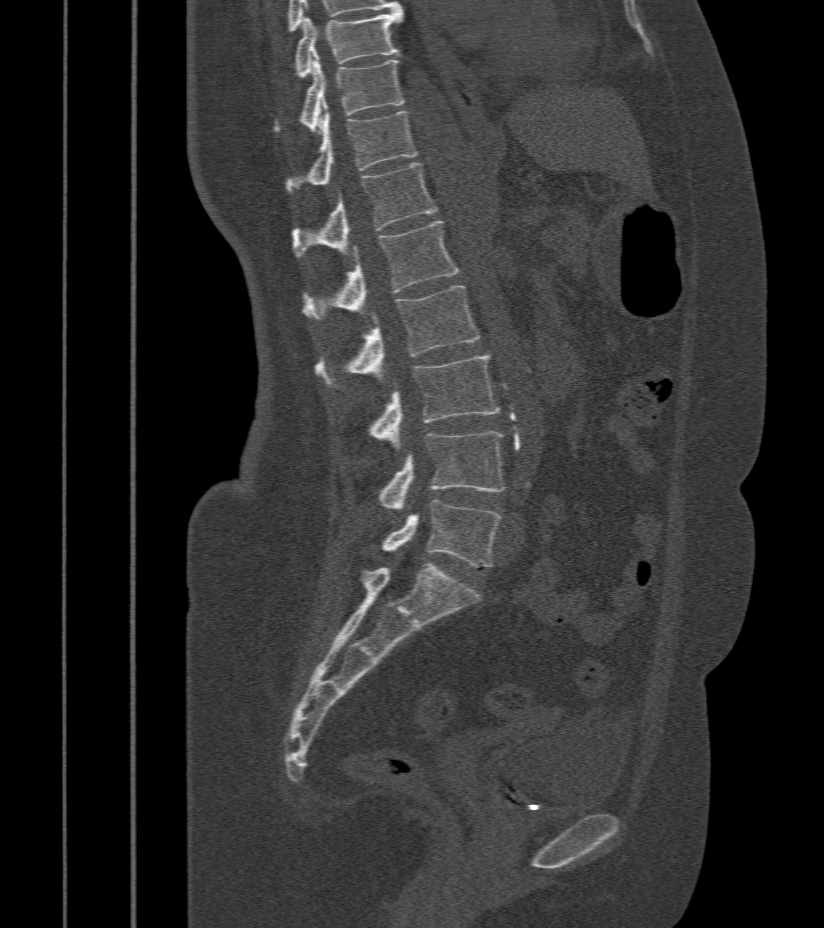 Spine CT · sagittal view

Boxes below are [x1, y1, x2, y2] in pixels.
{"vertebrae":{"T9":[295,9,403,78],"T10":[274,56,405,132],"T11":[286,107,417,192],"T12":[291,163,437,258],"L1":[303,221,459,320],"L2":[315,285,479,388],"L3":[369,355,501,448],"L4":[378,431,504,510],"L5":[381,501,501,566]}}